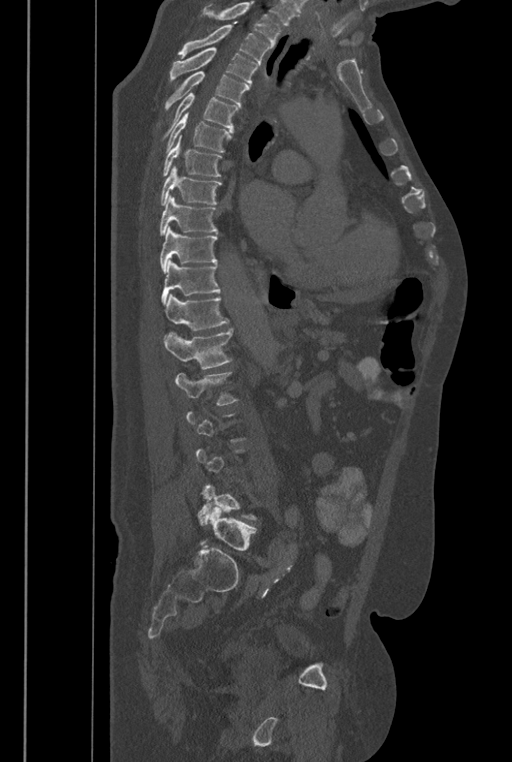

Spine computed tomography; sagittal view; 512x762 px

Boxes below are [x1, y1, x2, y2] in pixels.
A vertebra gets a box only on the slices from the first to the last where its cross-section is at least a third of its largest; on a slice outside that range it gets none.
No box is given to a vertebra that the top edge of the scan cuts off.
These labels give the spine a sixth lumbar vertebra, L6, below L5.
{"vertebrae":{"L6":[200,506,256,551],"L5":[196,484,257,526],"L2":[174,371,239,406],"L1":[164,329,233,369],"T12":[164,293,229,330],"T11":[161,261,220,305],"T10":[159,226,217,273],"T9":[159,195,217,235],"T8":[159,166,222,205],"T7":[162,135,222,176],"T6":[163,113,232,155],"T5":[161,92,239,138],"T4":[164,71,249,111],"T3":[169,48,258,85],"T2":[178,25,270,63]}}